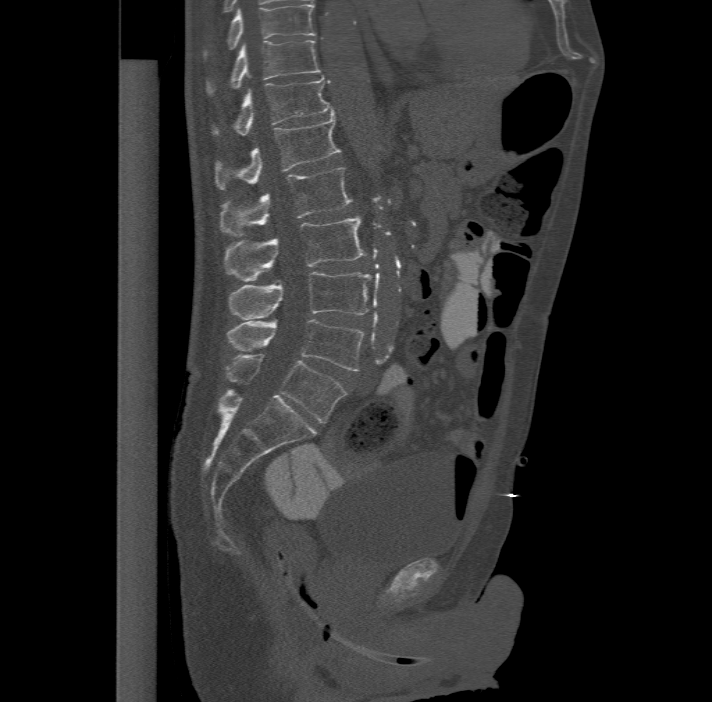
Spine CT — sagittal view — the image is 477 mm wide
Coordinates as <box>x1,y1,x2,y2</box>.
The highest labeled vertebra in this scan is T11; the lowest is L6.
In these labels the spine has an L6, a sixth lumbar vertebra below L5.
Vertebra bounding boxes:
- T11: <box>206,39,322,94</box>
- T12: <box>211,74,333,135</box>
- L1: <box>216,112,341,188</box>
- L2: <box>220,167,351,235</box>
- L3: <box>224,216,366,281</box>
- L4: <box>228,270,372,318</box>
- L5: <box>227,318,363,370</box>
- L6: <box>225,354,345,422</box>